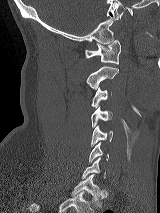 CT, spine; sagittal view; 160x213 px. Boxes are (x1, y1, x2, y2) in pixels. 8 vertebrae labeled — C1 at (85, 40, 120, 64); C2 at (86, 66, 118, 89); C3 at (91, 87, 111, 107); C4 at (91, 107, 112, 127); C5 at (90, 125, 113, 146); C6 at (88, 142, 109, 163); C7 at (82, 157, 105, 178); T1 at (71, 174, 101, 207).